CT spine. 140 mm image width. sagittal reformat. bone window
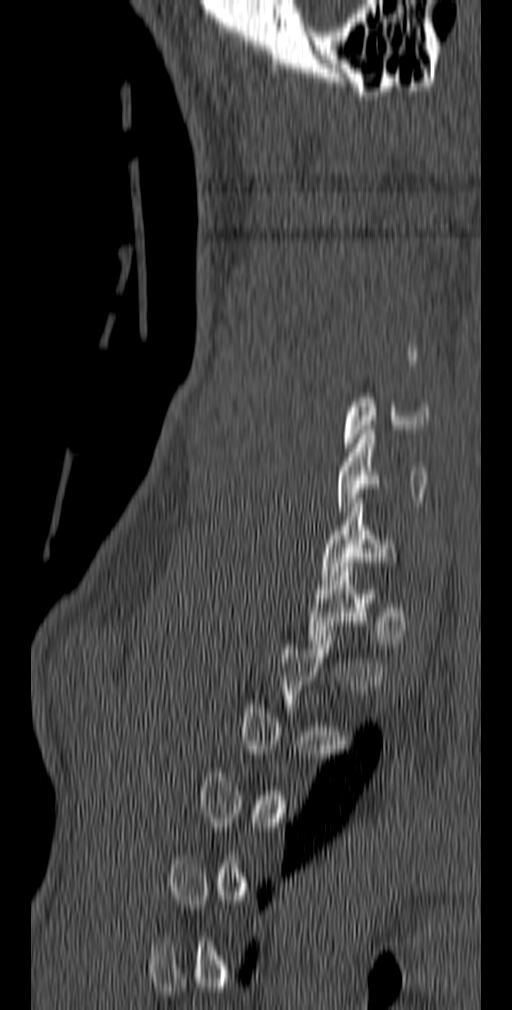
Coordinates as <box>x1,y1,x2,y2</box>.
A vertebra is boxed only from the first to the last slice where its cross-section is at least a third of its largest; slices outside that range leave it without a box.
C5: <box>343,398,429,452</box>
C6: <box>337,430,427,516</box>
C7: <box>321,498,397,580</box>